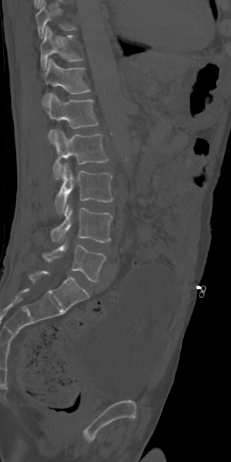

CT spine — sagittal view

Boxes below are [x1, y1, x2, y2] in pixels.
{"vertebrae":{"L5":[42,244,105,281],"L4":[51,205,112,242],"L3":[55,163,112,214],"L2":[53,129,108,179],"L1":[47,92,98,139],"T12":[42,58,90,105],"T11":[40,26,82,69],"T10":[36,0,75,38]}}